Computed tomography of the spine · sagittal view · 143x379 px · scan covers 14 annotated vertebrae · 143 mm wide
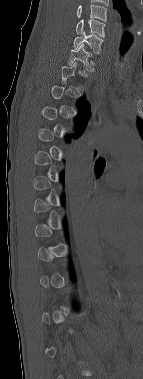

Box edges are left/top/right/bottom in pixels. Not every vertebra on this slice has a box: a vertebra is boxed only from the first to the last slice where its cross-section is at least a third of its largest, and this slice is outside that range for at least one of them. Labels in this scan begin with C6 at the top and end with T12 at the bottom. Vertebrae labeled: T1 at left=68, top=43, right=94, bottom=72, C7 at left=73, top=31, right=103, bottom=53, C6 at left=76, top=19, right=105, bottom=37.